Spine computed tomography — sagittal reformat — scan covers 8 annotated vertebrae — the image spans 445 mm across
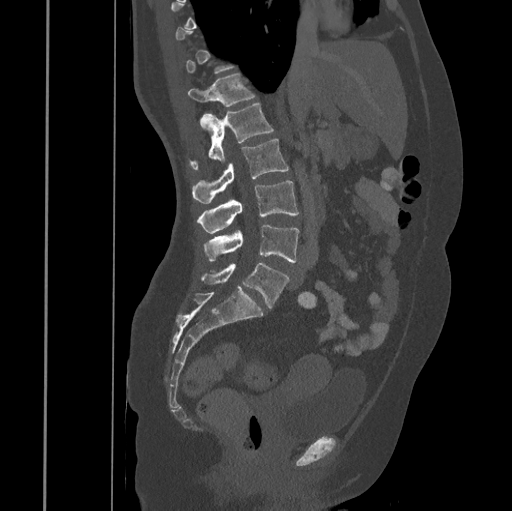

Boxes are given in columns x1, y1, x2, y2, the pixel coordinates of their top-left and bottom-right corners.
A vertebra is boxed only from the first to the last slice where its cross-section is at least a third of its largest; slices outside that range leave it without a box.
| vertebra | x1 | y1 | x2 | y2 |
|---|---|---|---|---|
| T12 | 187 | 74 | 254 | 126 |
| L1 | 191 | 104 | 274 | 169 |
| L2 | 192 | 139 | 289 | 204 |
| L3 | 197 | 180 | 299 | 233 |
| L4 | 204 | 224 | 299 | 262 |
| L5 | 201 | 262 | 289 | 308 |